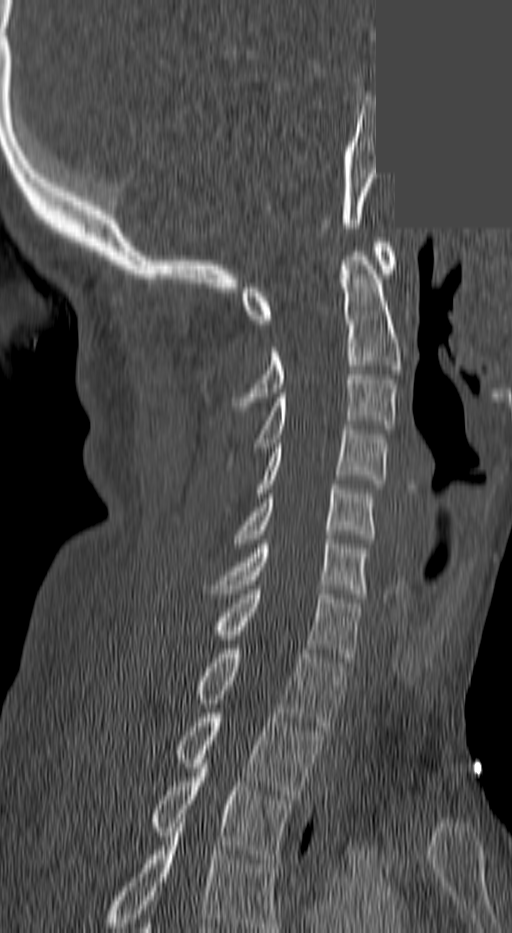

Spine computed tomography; sagittal view; an area of the scan was removed and filled with constant pixels
Boxes: x1 y1 x2 y2 (pixel coords, space-separated).
Labels in this scan begin with C1 at the top and end with T3 at the bottom.
C1: 239 242 395 324
C2: 235 247 399 406
C3: 254 375 395 452
C4: 257 430 388 497
C5: 235 485 373 543
C6: 202 539 366 593
C7: 210 590 359 657
T1: 192 649 344 730
T2: 173 713 322 799
T3: 148 768 289 863